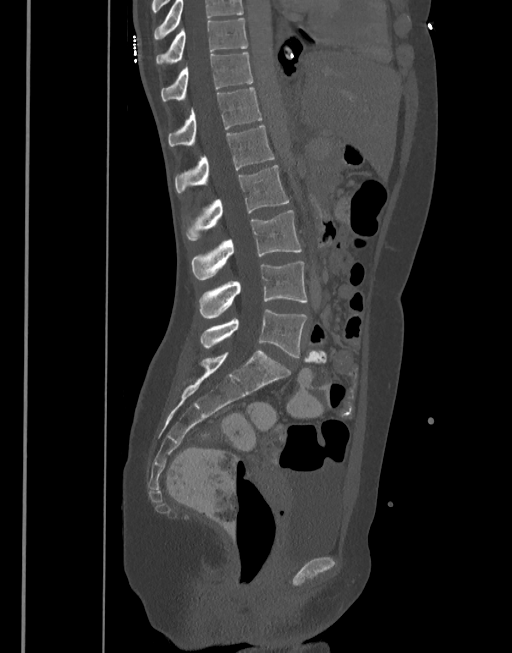 Computed tomography of the spine; sagittal view; the image is 377 mm wide
Each vertebra maps to its box as [x1, y1, x2, y2], the pixel coordinates of its top-left and bottom-right corners.
The highest labeled vertebra in this scan is T10; the lowest is L5.
{"vertebrae":{"T10":[156,18,247,66],"T11":[161,53,253,100],"T12":[168,88,262,146],"L1":[175,125,275,193],"L2":[186,165,289,240],"L3":[191,210,302,280],"L4":[199,262,307,318],"L5":[201,309,307,357]}}